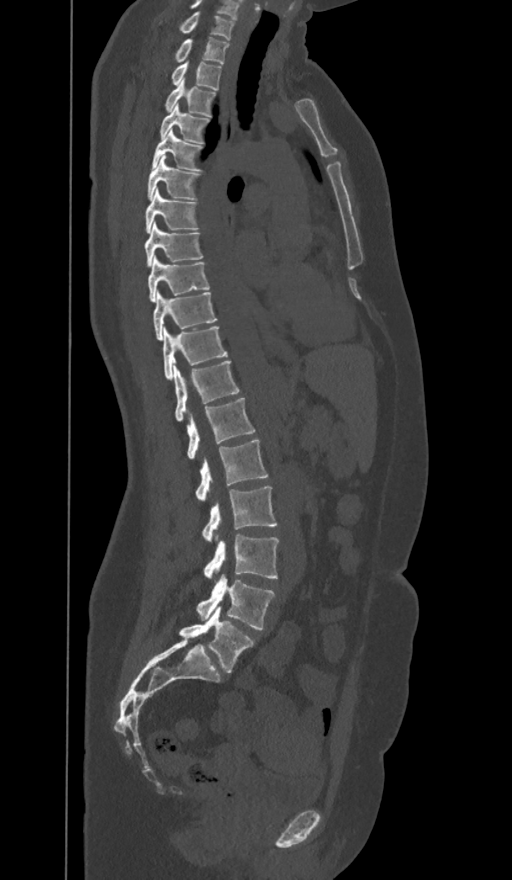
Spine computed tomography. sagittal view. bone window. 512x880 px. Boxes: x1 y1 x2 y2 (pixel coords, space-separated).
The labels name a sixth lumbar vertebra for this spine: L6, after L5.
C7: 160 12 233 40
T1: 174 38 229 63
T2: 171 62 221 89
T3: 164 80 215 116
T4: 160 105 210 143
T5: 151 129 203 171
T6: 147 155 200 200
T7: 145 189 199 233
T8: 145 223 203 266
T9: 148 258 210 301
T10: 153 292 216 339
T11: 163 327 227 380
T12: 174 361 240 420
L1: 186 398 255 459
L2: 196 439 267 499
L3: 202 485 277 541
L4: 204 535 278 578
L5: 197 574 274 630
L6: 179 606 253 672